Computed tomography of the spine — sagittal view — 512x651 px — scan covers 7 annotated vertebrae
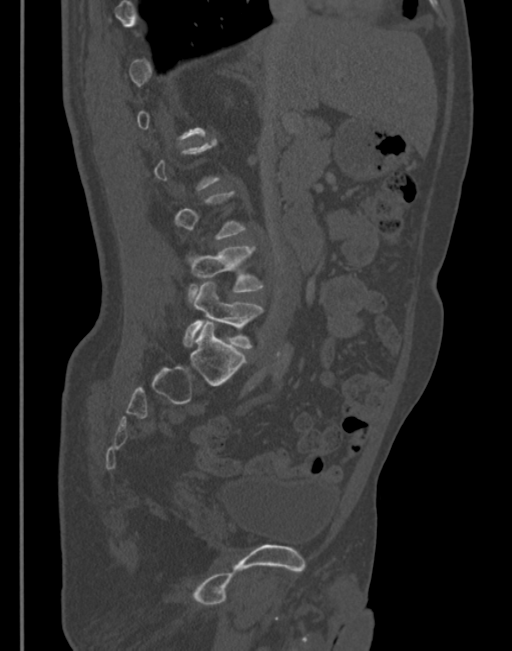 Coordinates as <box>x1,y1,x2,y2</box>.
A vertebra gets a box only on the slices from the first to the last where its cross-section is at least a third of its largest; on a slice outside that range it gets none.
Vertebra bounding boxes:
- L5: <box>184,283,261,348</box>
- L4: <box>187,246,263,302</box>